Spine computed tomography — Sagittal slice 295/512 — bone window — 512x425 px
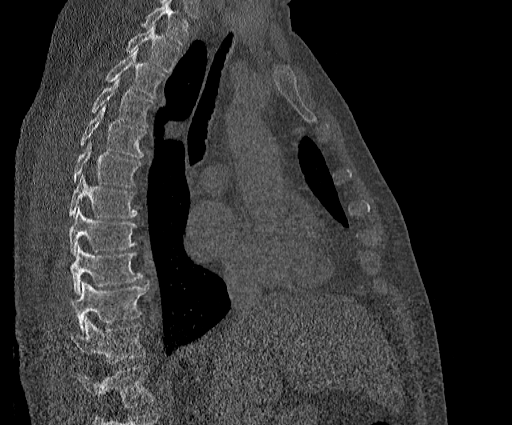

Boxes are (x1, y1, x2, y2) in pixels.
A vertebra cut off by the top edge of the scan is not labeled and has no box.
This scan's labels start at T2 at the top and end at T11 at the bottom.
T11: (69, 317, 147, 363)
T10: (72, 281, 148, 331)
T9: (70, 244, 141, 294)
T8: (69, 208, 137, 255)
T7: (68, 173, 137, 218)
T6: (72, 143, 140, 187)
T5: (80, 105, 145, 158)
T4: (90, 79, 153, 127)
T3: (105, 48, 165, 98)
T2: (125, 24, 179, 72)